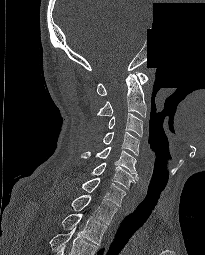 Computed tomography of the spine · sagittal view · Bone window (WL 400, WW 1800) · a region of this slice is masked with a uniform fill
Bounding boxes as [x1, y1, x2, y2] in pixel coordinates.
In this scan, the topmost labeled vertebra is C1 and the lowest is T2.
C1: [97, 72, 148, 95]
C2: [97, 74, 146, 117]
C3: [108, 113, 142, 136]
C4: [103, 131, 139, 155]
C5: [81, 147, 138, 180]
C6: [91, 162, 135, 188]
C7: [81, 178, 125, 206]
T1: [71, 195, 117, 224]
T2: [62, 214, 106, 244]